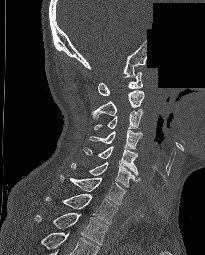
Spine CT · 205 mm wide · sagittal view · Bone window (WL 400, WW 1800) · an area of the scan was removed and filled with constant pixels
Box edges are left/top/right/bottom in pixels.
This scan's labels start at C1 at the top and end at T2 at the bottom.
| vertebra | x1 | y1 | x2 | y2 |
|---|---|---|---|---|
| C1 | 98 | 72 | 142 | 95 |
| C2 | 91 | 90 | 144 | 119 |
| C3 | 94 | 109 | 143 | 129 |
| C4 | 89 | 130 | 142 | 149 |
| C5 | 83 | 146 | 138 | 175 |
| C6 | 71 | 161 | 140 | 187 |
| C7 | 60 | 175 | 125 | 205 |
| T1 | 46 | 193 | 117 | 224 |
| T2 | 34 | 213 | 108 | 244 |